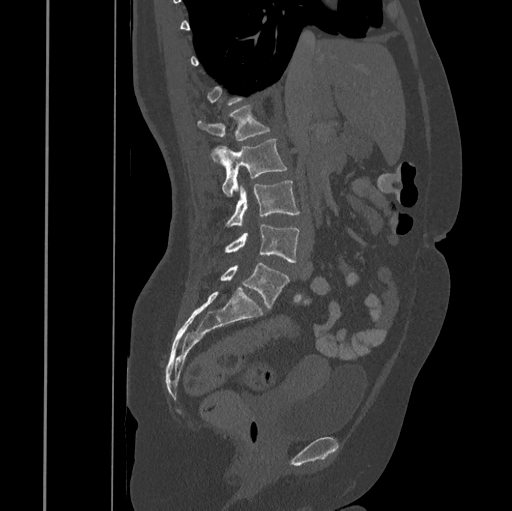

Spine CT · sagittal reformat · image width 445 mm · Bone window (WL 400, WW 1800)
In the table, x1 and y1 are a box's top-left corner and x2 and y2 its bottom-right corner, in pixels.
Each vertebra is boxed only on the slices from the first to the last where its cross-section reaches a third of its largest, so a slice outside that range leaves it unboxed.
| vertebra | x1 | y1 | x2 | y2 |
|---|---|---|---|---|
| L1 | 198 | 106 | 269 | 161 |
| L2 | 215 | 139 | 287 | 197 |
| L3 | 227 | 180 | 299 | 226 |
| L4 | 225 | 224 | 299 | 262 |
| L5 | 220 | 262 | 289 | 309 |